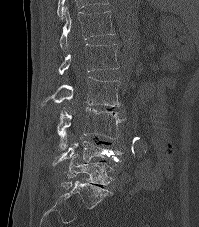
Spine computed tomography · sagittal view · Bone window (WL 400, WW 1800) · 199x227 px · the image spans 199 mm across
Bounding boxes as [x1, y1, x2, y2] in pixel coordinates. Vertebrae labeled: T12 at [58, 8, 115, 51], L1 at [58, 44, 118, 75], L2 at [41, 77, 120, 106], L3 at [57, 107, 125, 150], L4 at [52, 137, 123, 165], L5 at [61, 155, 112, 188].